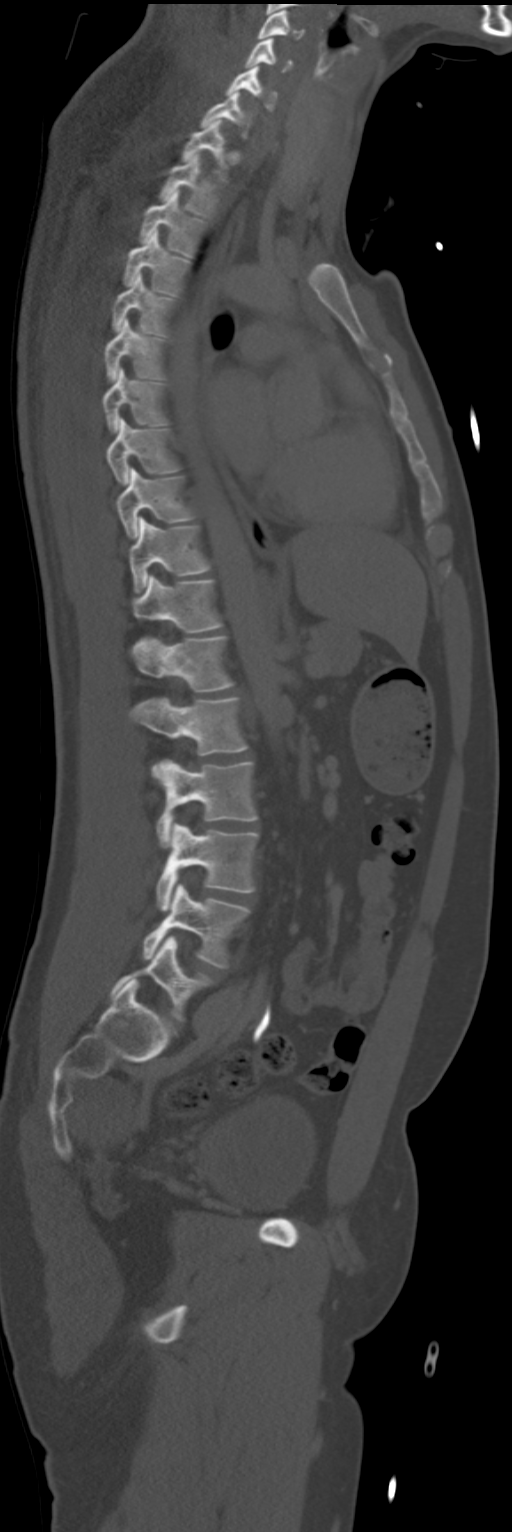

Computed tomography of the spine · sagittal view · bone window
Box values are [left, top, right, bottom] in pixels.
{"vertebrae":{"C4":[258,10,304,39],"C5":[245,38,292,72],"C6":[225,66,276,110],"C7":[200,92,252,137],"T1":[181,120,228,182],"T2":[159,155,219,217],"T3":[138,190,206,255],"T4":[123,229,190,296],"T5":[112,273,175,336],"T6":[106,319,164,382],"T7":[102,368,168,433],"T8":[107,418,179,485],"T9":[117,468,194,538],"T10":[130,517,210,594],"T11":[132,575,221,632],"T12":[132,637,233,691],"L1":[130,698,248,777],"L2":[156,760,257,848],"L3":[157,823,259,911],"L4":[142,883,250,968],"L5":[110,936,212,1020]}}